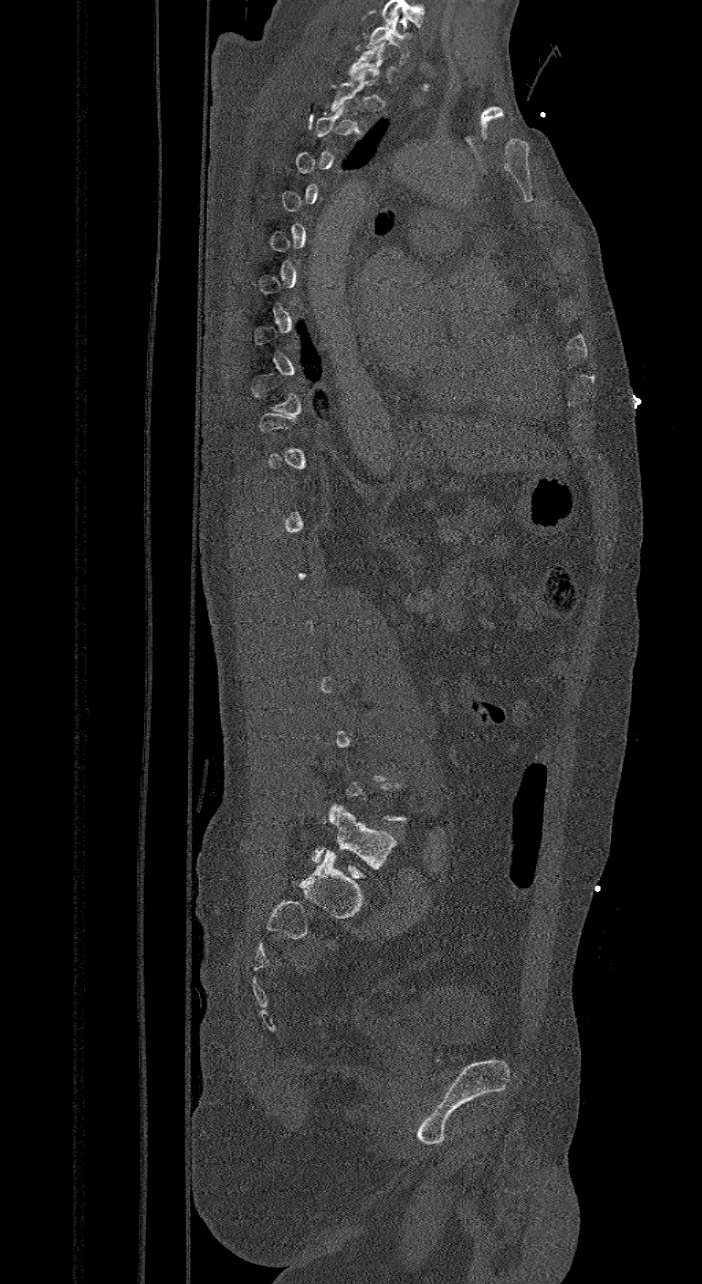 CT, spine — sagittal view

Not every vertebra on this slice has a box: a vertebra is boxed only from the first to the last slice where its cross-section is at least a third of its largest, and this slice is outside that range for at least one of them.
Labels in this scan begin with C7 at the top and end with L6 at the bottom.
The labels name a sixth lumbar vertebra for this spine: L6, after L5.
<vertebrae><v name="L6" x1="311" y1="804" x2="398" y2="876"/><v name="C7" x1="366" y1="18" x2="410" y2="64"/></vertebrae>